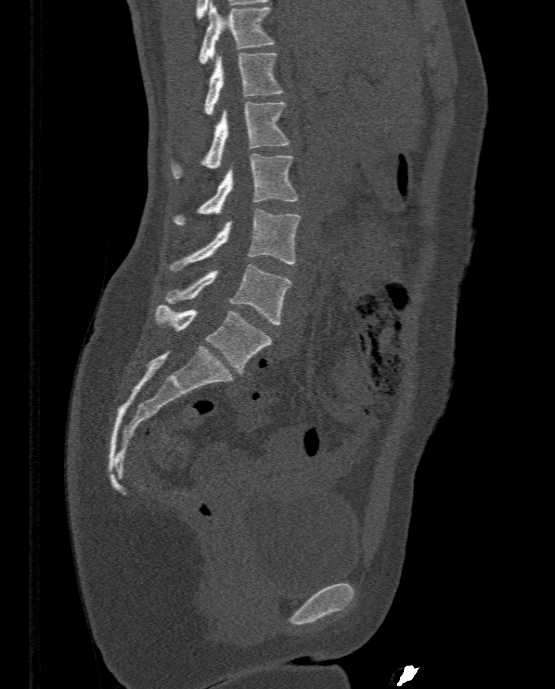 CT, spine — sagittal view — bone window — 333 mm image width — 555x689 px
Each row gives a vertebra's box as x1, y1, x2, y2 in pixels: top-left corner, then bottom-right corner.
| vertebra | x1 | y1 | x2 | y2 |
|---|---|---|---|---|
| T11 | 199 | 1 | 273 | 63 |
| T12 | 205 | 52 | 282 | 115 |
| L1 | 173 | 102 | 288 | 178 |
| L2 | 173 | 154 | 297 | 224 |
| L3 | 168 | 210 | 300 | 270 |
| L4 | 165 | 263 | 292 | 324 |
| L5 | 155 | 304 | 272 | 373 |